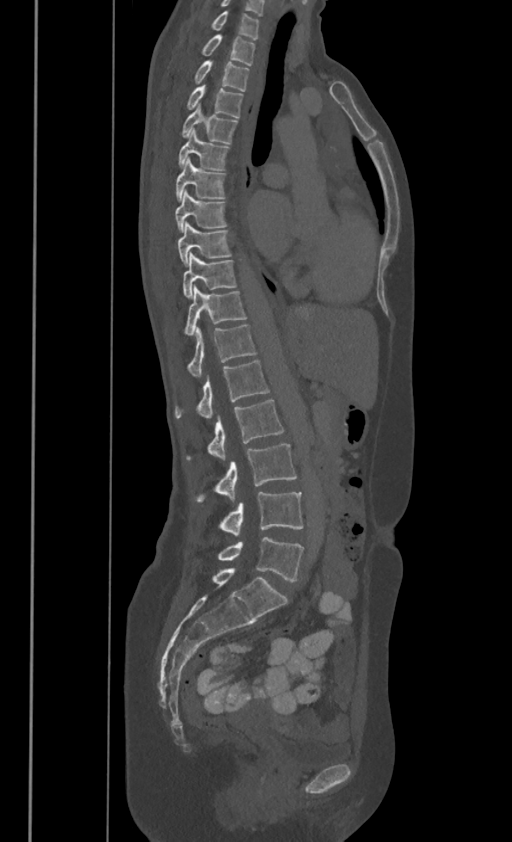 Spine CT; sagittal reformat; 386 mm image width. Bounding boxes as [x1, y1, x2, y2] in pixel coordinates.
In these labels the thoracic vertebrae end at T11, so L1 follows T11.
C7: [212, 11, 259, 38]
T1: [201, 32, 255, 63]
T2: [195, 60, 248, 90]
T3: [187, 84, 243, 117]
T4: [182, 103, 238, 142]
T5: [179, 128, 227, 169]
T6: [176, 158, 224, 198]
T7: [175, 190, 226, 229]
T8: [178, 221, 231, 264]
T9: [183, 252, 236, 296]
T10: [184, 285, 246, 334]
T11: [187, 324, 256, 375]
L1: [175, 359, 268, 417]
L2: [187, 399, 283, 460]
L3: [196, 444, 296, 502]
L4: [219, 492, 303, 536]
L5: [217, 537, 303, 580]